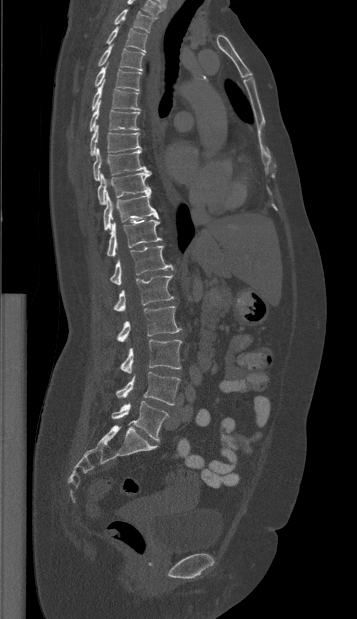
CT spine · sagittal view · bone-window reconstruction
Each row gives a vertebra's box as x1, y1, x2, y2 in pixels: top-left corner, then bottom-right corner.
| vertebra | x1 | y1 | x2 | y2 |
|---|---|---|---|---|
| T1 | 114 | 9 | 156 | 32 |
| T2 | 106 | 27 | 147 | 52 |
| T3 | 98 | 44 | 144 | 70 |
| T4 | 94 | 65 | 141 | 91 |
| T5 | 91 | 79 | 139 | 110 |
| T6 | 89 | 100 | 139 | 131 |
| T7 | 90 | 125 | 140 | 156 |
| T8 | 93 | 148 | 151 | 180 |
| T9 | 97 | 172 | 150 | 204 |
| T10 | 103 | 192 | 159 | 230 |
| T11 | 107 | 220 | 161 | 257 |
| T12 | 110 | 246 | 174 | 284 |
| L1 | 113 | 275 | 173 | 311 |
| L2 | 117 | 306 | 181 | 341 |
| L3 | 120 | 339 | 181 | 373 |
| L4 | 116 | 372 | 180 | 405 |
| L5 | 111 | 401 | 168 | 440 |